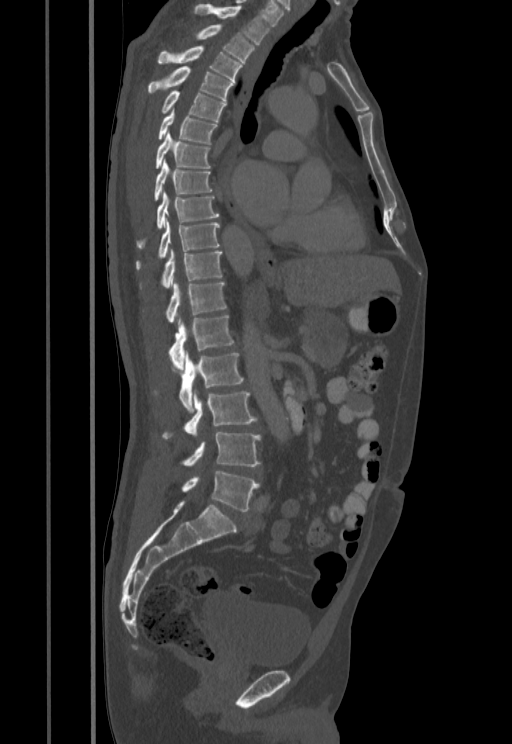 Spine computed tomography — sagittal reformat — the image is 455 mm wide — bone window
Boxes are (x1, y1, x2, y2) in pixels. The labeled vertebrae in this slice are: T1 at (193, 4, 270, 44), T2 at (197, 24, 254, 62), T3 at (157, 46, 242, 81), T4 at (148, 66, 234, 100), T5 at (161, 90, 226, 121), T6 at (159, 108, 217, 144), T7 at (155, 131, 210, 168), T8 at (154, 159, 212, 200), T9 at (137, 191, 218, 248), T10 at (136, 218, 219, 269), T11 at (162, 249, 222, 287), T12 at (166, 281, 226, 323), L1 at (169, 315, 233, 369), L2 at (169, 350, 243, 411), L3 at (162, 390, 257, 438), L4 at (183, 432, 260, 466), L5 at (182, 471, 260, 511).